CT, spine; sagittal reformat; 512x747 px
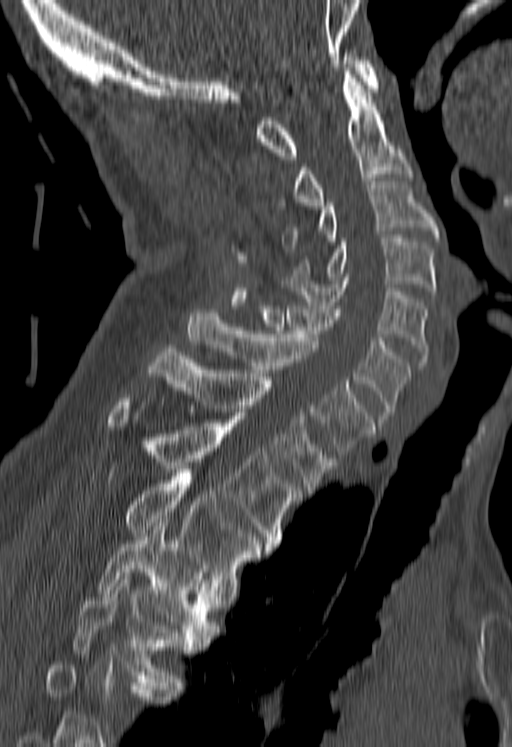 Boxes are given in columns x1, y1, x2, y2, the pixel coordinates of their top-left and bottom-right corners.
A vertebra cut off by the bottom edge of the scan is not labeled and has no box.
| vertebra | x1 | y1 | x2 | y2 |
|---|---|---|---|---|
| C1 | 256 | 50 | 378 | 159 |
| C2 | 277 | 68 | 412 | 209 |
| C3 | 283 | 181 | 438 | 248 |
| C4 | 291 | 235 | 435 | 294 |
| C5 | 280 | 277 | 427 | 369 |
| C6 | 251 | 302 | 410 | 419 |
| C7 | 189 | 309 | 375 | 454 |
| T1 | 146 | 348 | 336 | 493 |
| T2 | 109 | 398 | 301 | 547 |
| T3 | 126 | 473 | 270 | 586 |
| T4 | 95 | 523 | 216 | 643 |
| T5 | 73 | 572 | 193 | 682 |